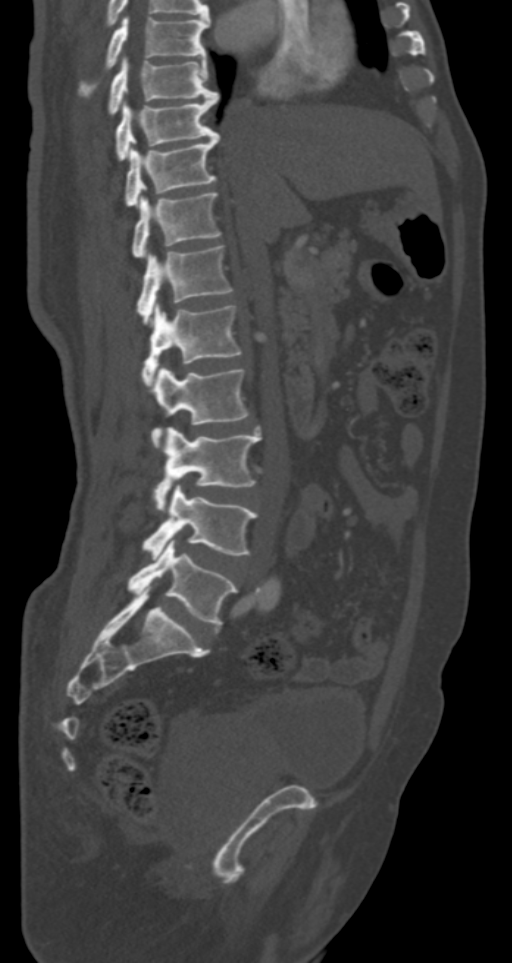

CT spine · sagittal view · W/L 1800/400 HU · 512x963 px. Each box given as x1,y1,x2,y2.
Vertebra bounding boxes:
- T7: x1=80, y1=16, x2=209, y2=96
- T8: x1=108, y1=56, x2=218, y2=115
- T9: x1=116, y1=94, x2=218, y2=159
- T10: x1=124, y1=134, x2=220, y2=205
- T11: x1=132, y1=192, x2=222, y2=257
- T12: x1=137, y1=246, x2=232, y2=324
- L1: x1=142, y1=303, x2=241, y2=386
- L2: x1=151, y1=366, x2=248, y2=449
- L3: x1=153, y1=428, x2=261, y2=511
- L4: x1=142, y1=485, x2=257, y2=558
- L5: x1=128, y1=538, x2=238, y2=625